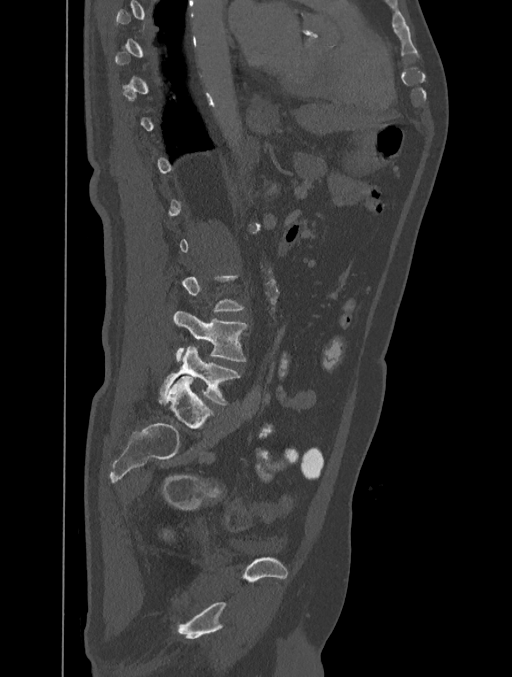
Spine computed tomography. sagittal reformat. W/L 1800/400 HU. Columns x1, y1, x2, y2 give each box's top-left and bottom-right pixels.
A vertebra is boxed only from the first to the last slice where its cross-section is at least a third of its largest; slices outside that range leave it without a box.
| vertebra | x1 | y1 | x2 | y2 |
|---|---|---|---|---|
| L5 | 159 | 346 | 240 | 405 |
| L4 | 174 | 310 | 248 | 361 |